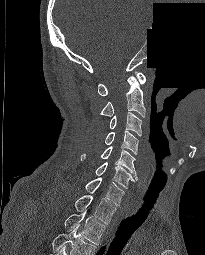 CT — sagittal view — bone-window reconstruction — part of the image has been replaced by a constant value

In this scan, the topmost labeled vertebra is C1 and the lowest is T2.
<vertebrae><v name="C1" x1="98" y1="71" x2="145" y2="95"/><v name="C2" x1="100" y1="76" x2="145" y2="117"/><v name="C3" x1="110" y1="112" x2="142" y2="136"/><v name="C4" x1="105" y1="130" x2="138" y2="154"/><v name="C5" x1="81" y1="146" x2="137" y2="180"/><v name="C6" x1="95" y1="162" x2="134" y2="188"/><v name="C7" x1="85" y1="177" x2="124" y2="205"/><v name="T1" x1="74" y1="195" x2="116" y2="224"/><v name="T2" x1="64" y1="211" x2="105" y2="244"/></vertebrae>